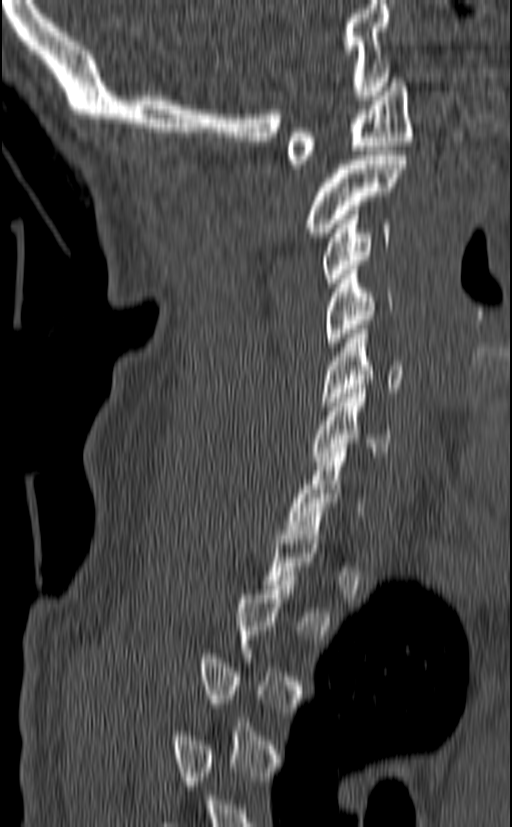 Spine computed tomography. sagittal reformat
Boxes are (x1, y1, x2, y2) in pixels.
Each vertebra is boxed only on the slices from the first to the last where its cross-section reaches a third of its largest, so a slice outside that range leaves it unboxed.
C1: (287, 78, 412, 168)
C2: (305, 151, 406, 237)
C3: (323, 206, 390, 287)
C4: (323, 265, 393, 346)
C5: (320, 325, 403, 406)
C6: (311, 384, 392, 461)
C7: (286, 448, 363, 534)